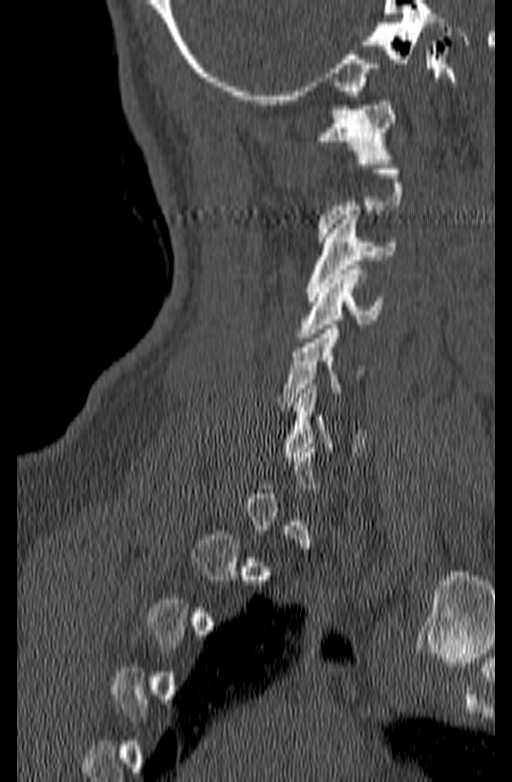

Computed tomography of the spine · sagittal reformat · the image is 140 mm wide
Boxes: x1 y1 x2 y2 (pixel coords, space-separated).
A vertebra gets a box only on the slices from the first to the last where its cross-section is at least a third of its largest; on a slice outside that range it gets none.
Vertebra bounding boxes:
- C1: 317 101 395 164
- C3: 305 215 395 301
- C4: 298 265 383 342
- C5: 276 325 364 406